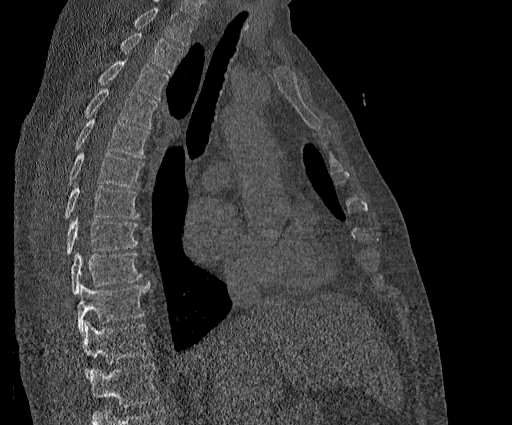 Computed tomography of the spine; sagittal reformat. Boxes: x1 y1 x2 y2 (pixel coords, space-separated).
A vertebra cut off by the top edge of the scan is not labeled and has no box.
The highest labeled vertebra in this scan is T2; the lowest is T11.
T2: 118 33 183 74
T3: 97 61 169 100
T4: 84 89 157 128
T5: 73 115 148 158
T6: 68 153 143 187
T7: 64 185 139 219
T8: 65 219 138 254
T9: 70 252 141 294
T10: 77 283 149 334
T11: 83 321 152 379